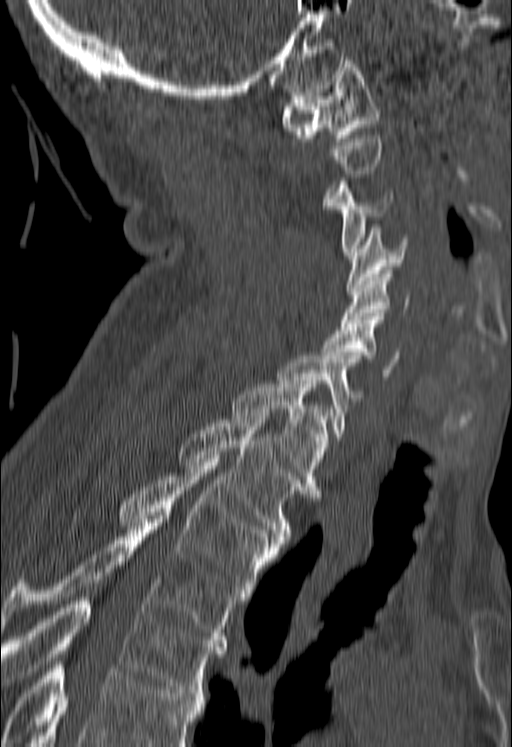
CT · sagittal view

A vertebra gets a box only on the slices from the first to the last where its cross-section is at least a third of its largest; on a slice outside that range it gets none.
Vertebrae that run past the bottom of the scan are left unlabeled.
<vertebrae><v name="C1" x1="281" y1="60" x2="380" y2="141"/><v name="C3" x1="329" y1="178" x2="392" y2="255"/><v name="C4" x1="347" y1="228" x2="408" y2="291"/><v name="C5" x1="340" y1="270" x2="410" y2="326"/><v name="C6" x1="321" y1="316" x2="399" y2="379"/><v name="C7" x1="277" y1="356" x2="361" y2="440"/><v name="T1" x1="231" y1="380" x2="332" y2="497"/><v name="T2" x1="180" y1="416" x2="307" y2="539"/><v name="T3" x1="120" y1="459" x2="282" y2="596"/><v name="T4" x1="0" y1="516" x2="242" y2="643"/><v name="T5" x1="1" y1="597" x2="225" y2="696"/></vertebrae>